Computed tomography of the spine — Sagittal slice 242/512
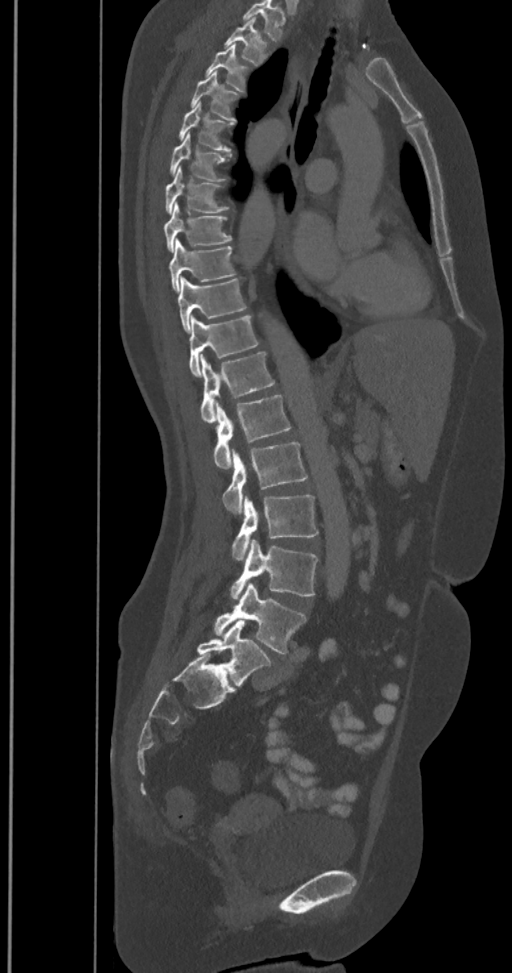 Boxes below are [x1, y1, x2, y2] in pixels.
The highest labeled vertebra in this scan is T2; the lowest is L6.
In these labels the spine has an L6, a sixth lumbar vertebra below L5.
{"vertebrae":{"T2":[225,18,268,65],"T3":[206,45,247,91],"T4":[190,71,237,123],"T5":[178,103,231,152],"T6":[169,133,227,181],"T7":[165,167,228,212],"T8":[164,204,231,250],"T9":[168,238,234,291],"T10":[177,276,246,332],"T11":[188,316,258,376],"T12":[200,352,274,422],"L1":[213,395,290,469],"L2":[222,442,307,514],"L3":[232,495,318,560],"L4":[231,540,318,599],"L5":[213,582,306,653],"L6":[197,620,271,685]}}